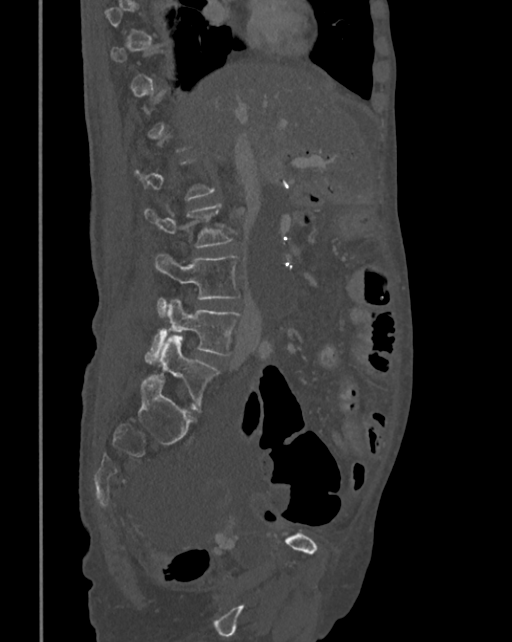
CT spine; sagittal reformat; bone window; 512x642 px

Each box given as x1,y1,x2,y2.
Not every vertebra on this slice has a box: a vertebra is boxed only from the first to the last slice where its cross-section is at least a third of its largest, and this slice is outside that range for at least one of them.
Vertebra bounding boxes:
- L2: x1=145, y1=204, x2=232, y2=248
- L3: x1=154, y1=252, x2=241, y2=315
- L4: x1=145, y1=300, x2=240, y2=364
- L5: x1=159, y1=335, x2=219, y2=407